Spine CT — sagittal reformat — 768x1012 px
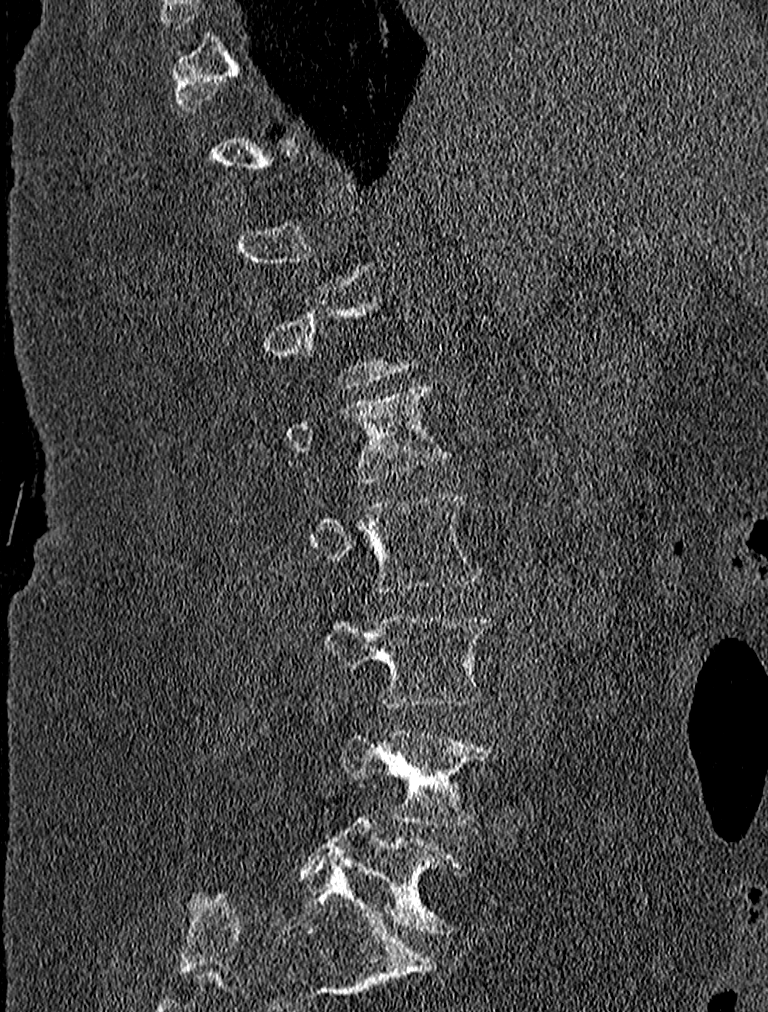 Box values are [left, top, right, bottom] in pixels.
A vertebra gets a box only on the slices from the first to the last where its cross-section is at least a third of its largest; on a slice outside that range it gets none.
{"vertebrae":{"L1":[286,382,448,483],"L2":[307,495,482,593],"L3":[310,614,495,708],"L4":[341,729,497,826],"L5":[302,784,461,932]}}